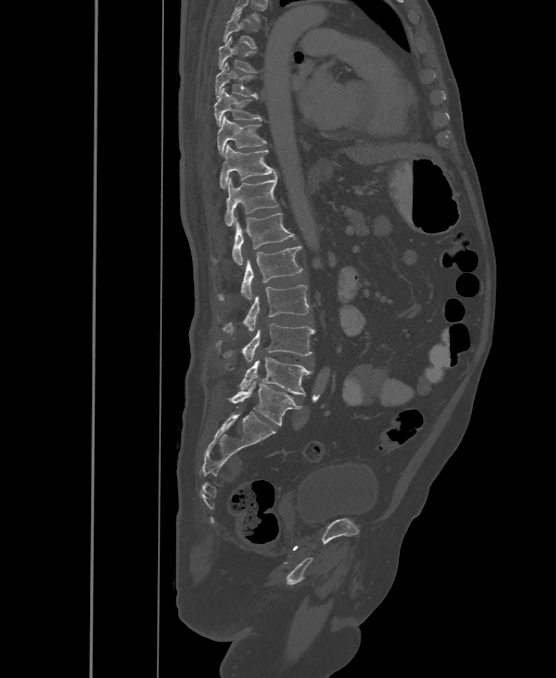
CT, spine; sagittal reformat; bone-window reconstruction. Box edges are left/top/right/bottom in pixels. Labels in this scan begin with T6 at the top and end with L6 at the bottom. The labels name a sixth lumbar vertebra for this spine: L6, after L5. 13 vertebrae labeled — T6 at left=222, top=12, right=257, bottom=48; T7 at left=218, top=37, right=256, bottom=72; T8 at left=215, top=63, right=257, bottom=99; T9 at left=214, top=88, right=262, bottom=125; T10 at left=217, top=116, right=266, bottom=155; T11 at left=220, top=145, right=276, bottom=188; T12 at left=225, top=176, right=278, bottom=226; L1 at left=214, top=213, right=293, bottom=265; L2 at left=218, top=246, right=303, bottom=300; L3 at left=222, top=285, right=309, bottom=332; L4 at left=216, top=324, right=315, bottom=362; L5 at left=239, top=357, right=313, bottom=395; L6 at left=229, top=380, right=302, bottom=425.